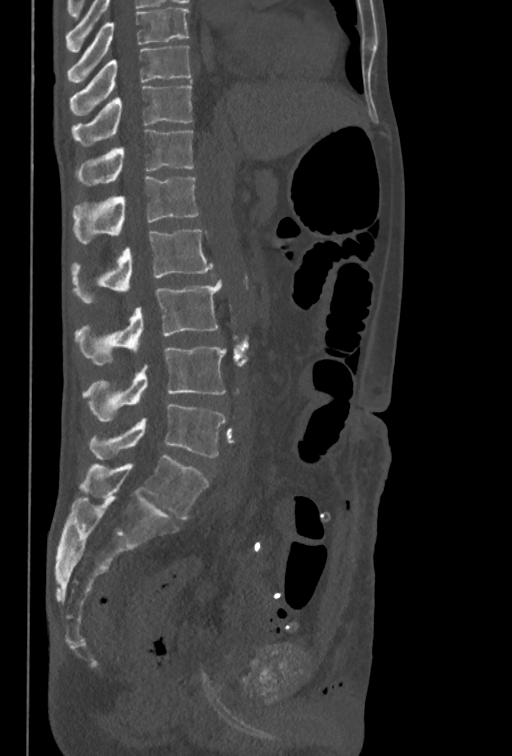
Spine CT · sagittal view
Boxes: x1:y1:x2:y2 in pixels.
The highest labeled vertebra in this scan is T10; the lowest is L5.
Vertebra bounding boxes:
- T10: 70:46:190:116
- T11: 71:86:192:146
- T12: 76:129:193:186
- L1: 72:176:199:244
- L2: 71:229:213:303
- L3: 74:279:222:365
- L4: 82:346:226:422
- L5: 89:404:226:460